CT spine. 275 mm across the image. Sagittal slice 44/81. 275x605 px. 18 vertebrae labeled in this scan
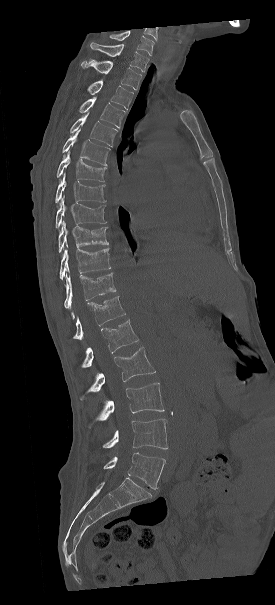

Bounding boxes as [x1, y1, x2, y2] in pixel coordinates. Labels in this scan begin with C7 at the top and end with L5 at the bottom. Vertebrae labeled: C7 at [90, 41, 148, 71], T1 at [81, 59, 141, 89], T2 at [87, 80, 133, 109], T3 at [79, 97, 125, 128], T4 at [70, 113, 117, 146], T5 at [62, 129, 110, 166], T6 at [55, 151, 106, 181], T7 at [55, 172, 106, 203], T8 at [56, 195, 106, 228], T9 at [58, 221, 108, 252], T10 at [60, 248, 110, 279], T11 at [64, 273, 116, 308], T12 at [73, 296, 125, 339], L1 at [68, 320, 138, 373], L2 at [78, 347, 155, 400], L3 at [87, 383, 164, 428], L4 at [100, 419, 167, 449], L5 at [102, 452, 165, 489].